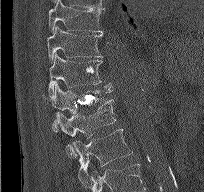
Spine CT · sagittal view · the image is 204 mm wide. Each box given as x1,y1,x2,y2.
| vertebra | x1 | y1 | x2 | y2 |
|---|---|---|---|---|
| T9 | 48 | 0 | 103 | 33 |
| T10 | 47 | 25 | 103 | 63 |
| T11 | 48 | 54 | 112 | 96 |
| T12 | 50 | 83 | 112 | 132 |
| L1 | 54 | 99 | 116 | 157 |
| L2 | 71 | 129 | 132 | 186 |